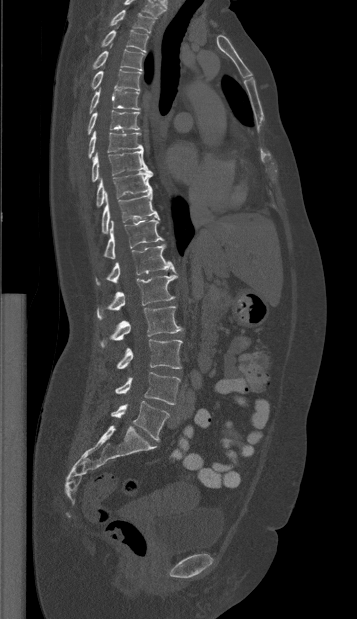

Spine CT. the image spans 357 mm across. sagittal view. 357x619 px

Each vertebra maps to its box as [x1, y1, x2, y2], the pixel coordinates of its top-left and bottom-right corners.
The highest labeled vertebra in this scan is T1; the lowest is L5.
{"vertebrae":{"L5":[111,401,169,440],"L4":[115,372,180,404],"L3":[116,339,182,369],"L2":[100,306,181,347],"L1":[97,274,177,319],"T12":[95,244,175,285],"T11":[103,218,163,258],"T10":[101,190,159,234],"T9":[96,171,152,207],"T8":[92,148,150,181],"T7":[88,131,142,158],"T6":[87,110,139,134],"T5":[89,87,139,113],"T4":[91,69,140,91],"T3":[92,49,144,70],"T2":[101,29,148,52],"T1":[110,10,156,33]}}